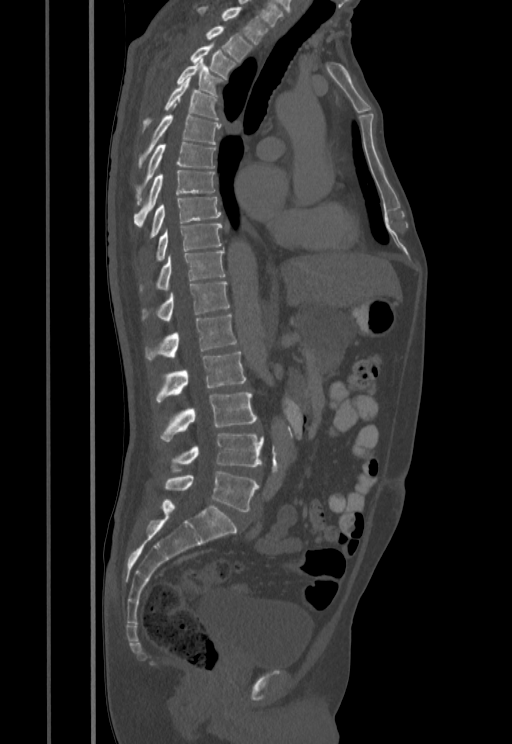 CT spine. sagittal reformat
Box values are [left, top, right, bottom] in pixels.
{"vertebrae":{"T1":[197,6,269,44],"T2":[206,27,252,61],"T3":[190,44,236,79],"T4":[177,59,225,96],"T5":[142,77,218,133],"T6":[138,115,221,166],"T7":[136,142,215,195],"T8":[134,170,215,225],"T9":[148,197,221,238],"T10":[156,224,222,261],"T11":[139,250,225,290],"T12":[142,281,230,321],"L1":[145,314,236,359],"L2":[156,352,245,403],"L3":[160,392,257,442],"L4":[171,433,263,472],"L5":[164,471,259,511]}}